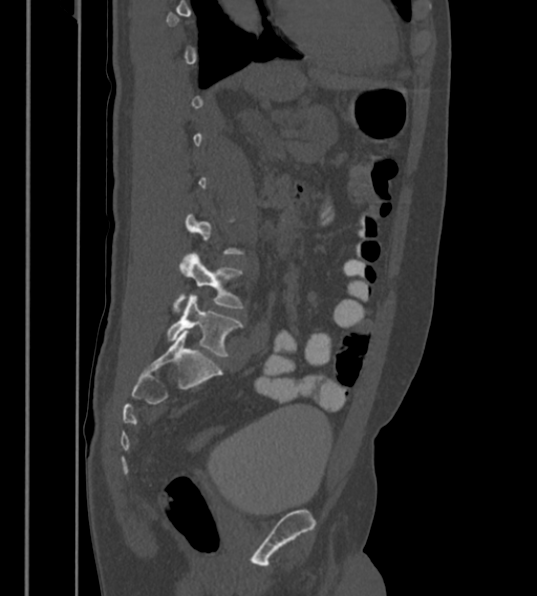
Spine computed tomography. sagittal view

A vertebra gets a box only on the slices from the first to the last where its cross-section is at least a third of its largest; on a slice outside that range it gets none.
In these labels the spine has an L6, a sixth lumbar vertebra below L5.
<vertebrae><v name="L6" x1="166" y1="294" x2="241" y2="356"/><v name="L5" x1="174" y1="255" x2="241" y2="311"/></vertebrae>